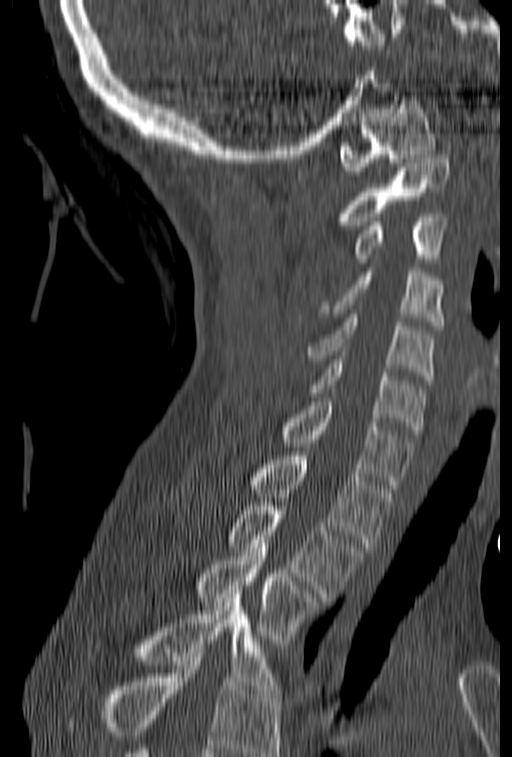

CT, spine — sagittal view — the image spans 153 mm across
Boxes: x1:y1:x2:y2 in pixels.
Vertebrae that run past the bottom of the scan are left unlabeled.
C1: 339:96:435:179
C2: 332:155:449:229
C3: 353:213:449:263
C4: 319:268:442:329
C5: 306:314:433:380
C6: 307:360:425:434
C7: 279:397:415:488
T1: 248:452:395:547
T2: 225:502:365:597
T3: 195:540:325:643
T4: 96:590:279:693